Computed tomography of the spine — sagittal view — scan covers 4 annotated vertebrae
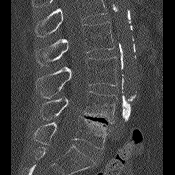
Coordinates as <box>x1,y1,x2,y2</box>.
A vertebra cut off by the top edge of the scan is not labeled and has no box.
Vertebra bounding boxes:
- L5: <box>34,116,107,149</box>
- L4: <box>40,91,117,123</box>
- L3: <box>36,57,117,98</box>
- L2: <box>35,21,113,66</box>